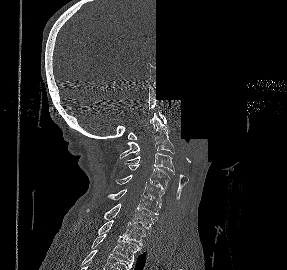 Computed tomography of the spine — sagittal view — part of the image is constant black where the scan was masked
Each box given as x1,y1,x2,y2.
Vertebra bounding boxes:
- C1: x1=128, y1=111, x2=167, y2=139
- C2: x1=120, y1=113, x2=174, y2=158
- C3: x1=124, y1=153, x2=174, y2=175
- C4: x1=128, y1=164, x2=170, y2=191
- C5: x1=115, y1=175, x2=164, y2=205
- C6: x1=107, y1=189, x2=160, y2=218
- C7: x1=86, y1=203, x2=156, y2=229
- T1: x1=97, y1=216, x2=145, y2=246
- T2: x1=91, y1=233, x2=141, y2=262